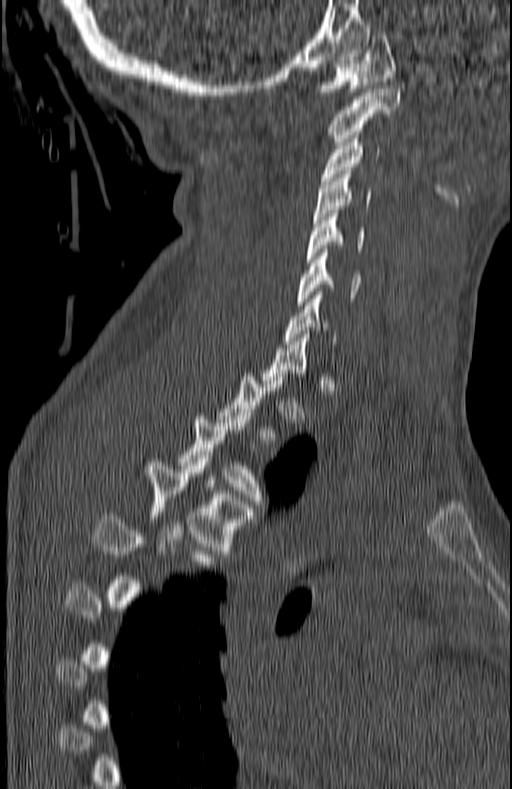 Computed tomography of the spine. sagittal view. bone window. 512x789 px

Boxes are (x1, y1, x2, y2) in pixels.
Each vertebra is boxed only on the slices from the first to the last where its cross-section reaches a third of its largest, so a slice outside that range leaves it unboxed.
Vertebra bounding boxes:
- C1: (314, 32, 395, 95)
- C2: (328, 89, 401, 145)
- C3: (321, 135, 380, 184)
- C4: (314, 171, 370, 219)
- C5: (306, 210, 364, 262)
- C6: (297, 249, 361, 305)
- C7: (283, 295, 336, 344)
- T3: (177, 412, 264, 507)
- T4: (146, 459, 256, 554)
- T5: (95, 512, 216, 568)